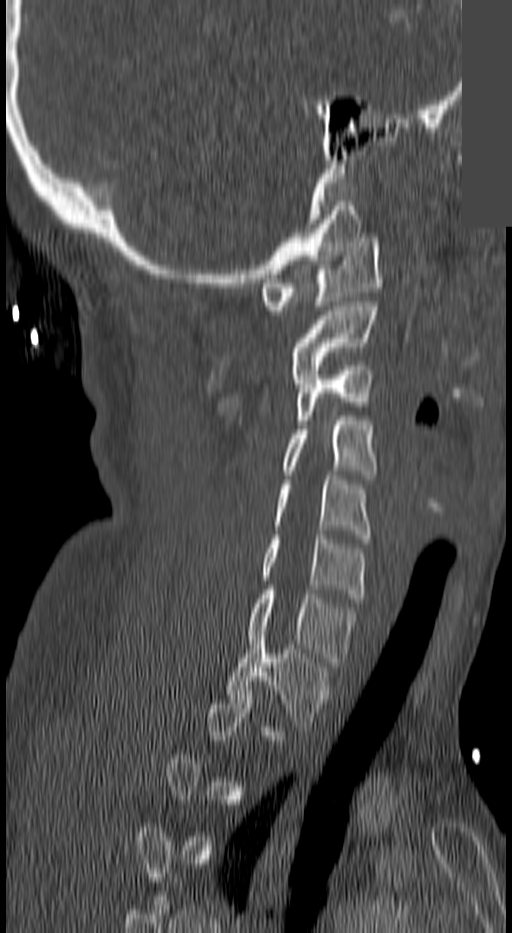

Spine computed tomography · the image spans 140 mm across · sagittal view · an area of the scan was removed and filled with constant pixels

Each box given as x1,y1,x2,y2.
Not every vertebra on this slice has a box: a vertebra is boxed only from the first to the last slice where its cross-section is at least a third of its largest, and this slice is outside that range for at least one of them.
Vertebra bounding boxes:
- C1: x1=261, y1=238, x2=381, y2=314
- C2: x1=290, y1=302, x2=377, y2=378
- C3: x1=295, y1=361, x2=373, y2=424
- C4: x1=283, y1=416, x2=377, y2=479
- C5: x1=272, y1=475, x2=370, y2=538
- C6: x1=261, y1=535, x2=366, y2=602
- C7: x1=246, y1=590, x2=355, y2=666
- T1: x1=226, y1=635, x2=329, y2=730